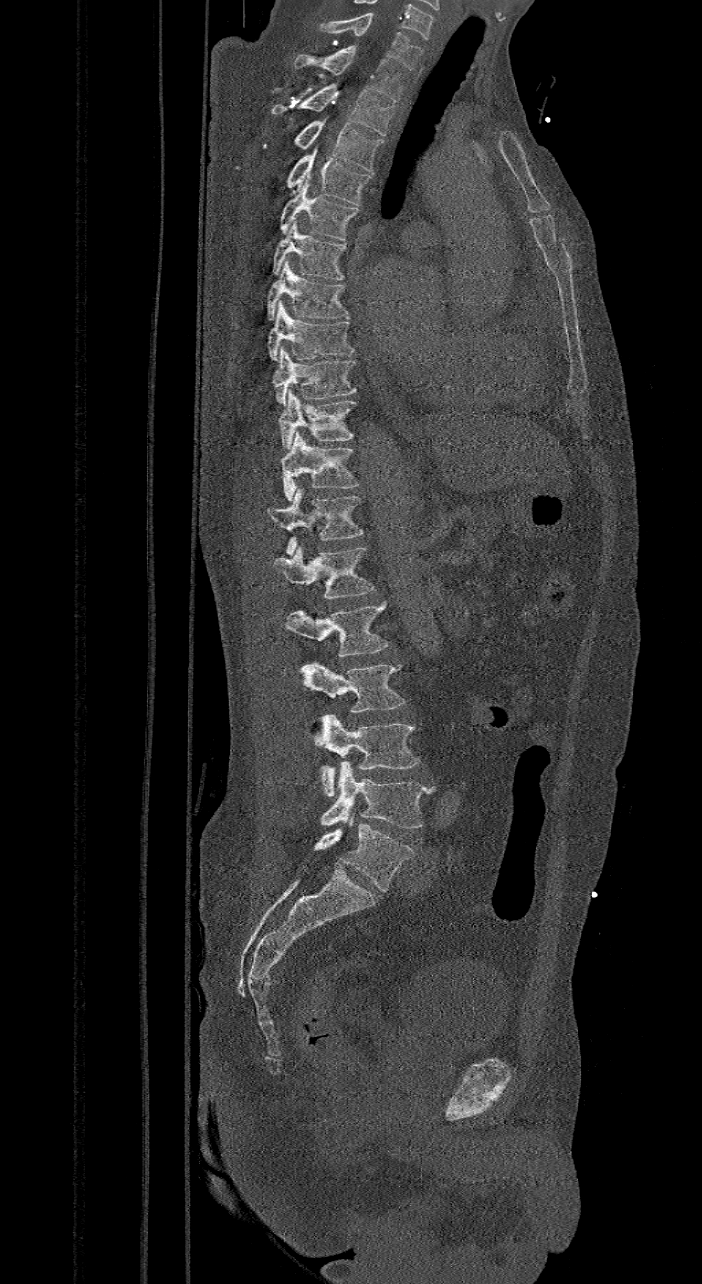
CT · sagittal view · 702x1284 px
Coordinates as <box>x1,y1,x2,y2</box>. These labels give the spine a sixth lumbar vertebra, L6, below L5. The labeled vertebrae in this slice are: C7 at <box>319,15,422,69</box>, T1 at <box>292,45,407,102</box>, T2 at <box>271,83,395,135</box>, T3 at <box>293,119,384,171</box>, T4 at <box>285,147,373,205</box>, T5 at <box>277,175,359,240</box>, T6 at <box>271,219,347,279</box>, T7 at <box>266,260,351,320</box>, T8 at <box>266,300,355,361</box>, T9 at <box>273,345,357,405</box>, T10 at <box>278,389,357,448</box>, T11 at <box>281,430,361,500</box>, T12 at <box>266,489,364,555</box>, L1 at <box>273,545,375,597</box>, L2 at <box>285,600,388,657</box>, L3 at <box>301,661,406,712</box>, L4 at <box>311,713,421,796</box>, L5 at <box>319,761,432,828</box>, L6 at <box>314,816,414,892</box>.